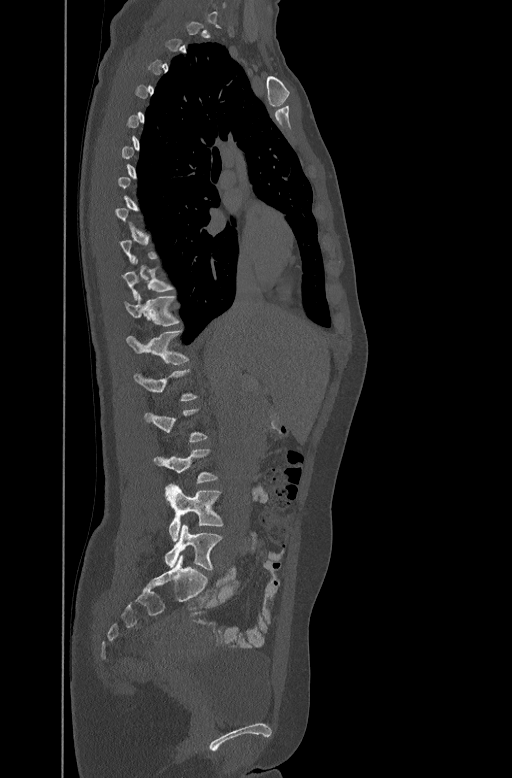 Spine computed tomography — sagittal view — image width 447 mm — bone-window reconstruction
A vertebra gets a box only on the slices from the first to the last where its cross-section is at least a third of its largest; on a slice outside that range it gets none.
<vertebrae><v name="T10" x1="122" y1="258" x2="173" y2="298"/><v name="T11" x1="125" y1="292" x2="180" y2="325"/><v name="T12" x1="126" y1="330" x2="188" y2="363"/><v name="L3" x1="153" y1="448" x2="218" y2="482"/><v name="L4" x1="166" y1="483" x2="223" y2="540"/><v name="L5" x1="165" y1="524" x2="222" y2="570"/></vertebrae>